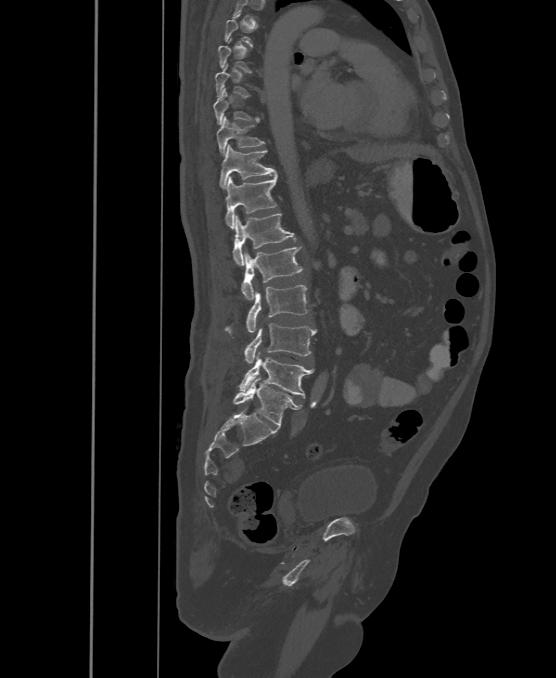

CT; sagittal view; 500 mm image width; bone window
Each vertebra maps to its box as [x1, y1, x2, y2], the pixel coordinates of its top-left and bottom-right corners.
Each vertebra is boxed only on the slices from the first to the last where its cross-section reaches a third of its largest, so a slice outside that range leaves it unboxed.
In these labels the spine has an L6, a sixth lumbar vertebra below L5.
{"vertebrae":{"L6":[233,378,302,426],"L5":[239,353,314,397],"L4":[244,324,316,363],"L3":[225,285,308,333],"L2":[241,247,303,299],"L1":[232,214,295,265],"T12":[226,175,277,229],"T11":[219,145,276,188],"T10":[217,117,265,155],"T9":[214,88,259,124]}}